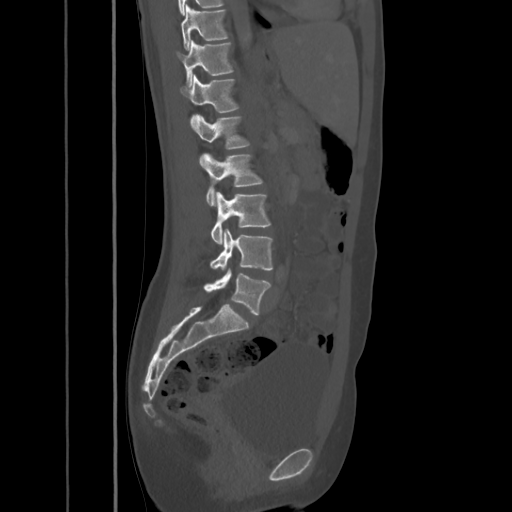
CT spine; sagittal view; Bone window (WL 400, WW 1800); the image is 425 mm wide; 512x512 px
Bounding boxes as [x1, y1, x2, y2] in pixel coordinates.
T10: [181, 5, 228, 48]
T11: [176, 40, 233, 86]
T12: [180, 75, 239, 121]
L1: [192, 115, 250, 148]
L2: [200, 153, 263, 205]
L3: [211, 192, 270, 244]
L4: [210, 229, 273, 270]
L5: [204, 269, 270, 315]